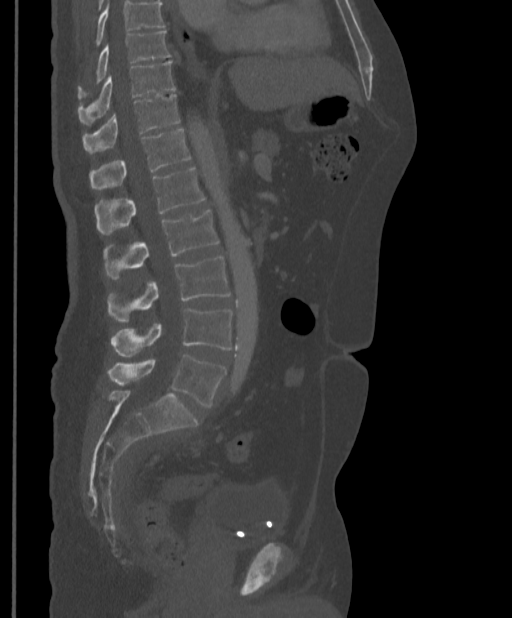
CT spine. sagittal view
Each box is [x1, y1, x2, y2] in pixels: top-left corner, then bottom-right corner.
No box is given to a vertebra that the top edge of the scan cuts off.
{"vertebrae":{"L5":[108,355,226,407],"L4":[111,308,232,356],"L3":[108,257,231,321],"L2":[104,210,219,279],"L1":[94,168,205,234],"T12":[89,129,191,189],"T11":[82,94,179,152],"T10":[77,61,176,124],"T9":[77,31,170,97]}}